Spine CT · sagittal view · W/L 1800/400 HU · scan covers 9 annotated vertebrae
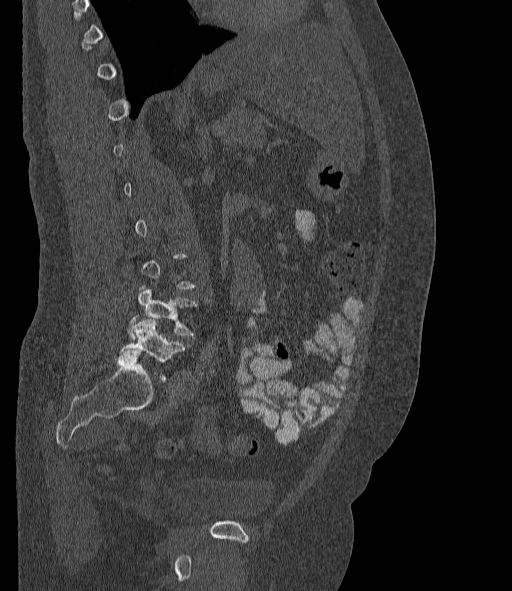
Boxes: x1:y1:x2:y2 in pixels. A vertebra gets a box only on the slices from the first to the last where its cross-section is at least a third of its largest; on a slice outside that range it gets none. In these labels the spine has an L6, a sixth lumbar vertebra below L5. Vertebrae labeled: L6 at 119:319:185:379, L5 at 128:285:197:340.